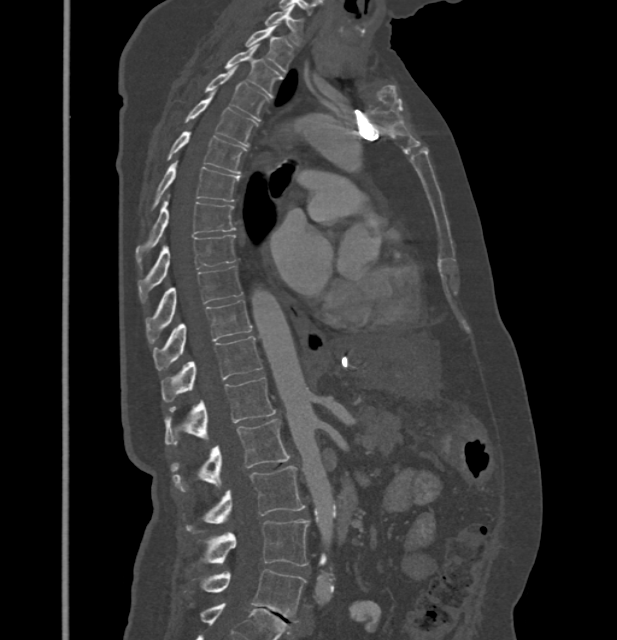

Computed tomography of the spine — sagittal view — image width 432 mm. Columns x1, y1, x2, y2 give each box's top-left and bottom-right pixels.
In these labels the spine has no T12: the thoracic vertebrae end at T11, and L1 comes next.
| vertebra | x1 | y1 | x2 | y2 |
|---|---|---|---|---|
| C7 | 265 | 7 | 302 | 45 |
| T1 | 246 | 25 | 292 | 72 |
| T2 | 225 | 45 | 282 | 94 |
| T3 | 206 | 66 | 268 | 121 |
| T4 | 186 | 96 | 256 | 146 |
| T5 | 168 | 130 | 246 | 172 |
| T6 | 153 | 162 | 239 | 208 |
| T7 | 135 | 196 | 234 | 264 |
| T8 | 139 | 235 | 234 | 302 |
| T9 | 146 | 266 | 241 | 339 |
| T10 | 153 | 300 | 252 | 369 |
| T11 | 162 | 336 | 262 | 402 |
| L1 | 164 | 377 | 275 | 445 |
| L2 | 171 | 419 | 288 | 491 |
| L3 | 186 | 466 | 305 | 532 |
| L4 | 201 | 519 | 309 | 566 |
| L5 | 201 | 569 | 306 | 622 |